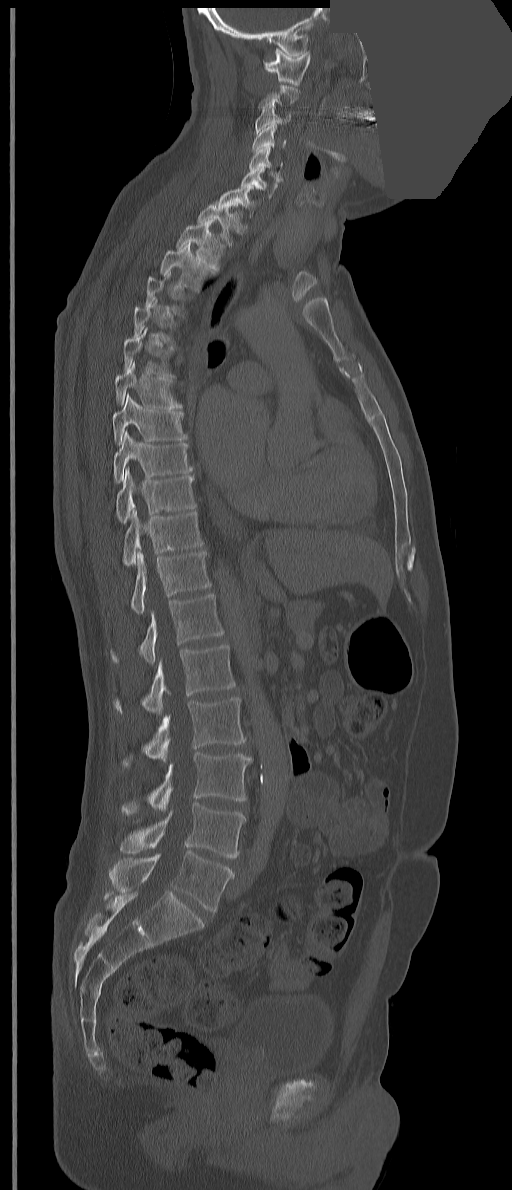

CT spine. sagittal view. a uniform gray block covers part of the image

Boxes: x1 y1 x2 y2 (pixel coords, space-separated).
Each vertebra is boxed only on the slices from the first to the last where its cross-section reaches a third of its largest, so a slice outside that range leaves it unboxed.
These labels give the spine a thirteenth thoracic vertebra: T13 sits between T12 and L1.
L5: 108 850 234 912
L4: 120 804 246 858
L3: 121 753 253 813
L2: 123 697 246 766
L1: 114 645 236 714
T13: 111 594 224 664
T12: 130 550 211 613
T11: 123 509 203 565
T10: 115 467 196 523
T9: 114 430 192 483
T8: 113 394 187 445
T7: 114 360 182 410
T6: 123 327 175 378
T3: 159 242 214 292
T2: 176 219 224 270
T1: 197 202 242 247
C7: 218 185 260 217
C6: 241 168 279 197
C5: 249 146 282 181
C4: 252 124 286 153
C3: 255 107 291 133
C1: 263 47 310 85